Computed tomography of the spine; sagittal view; 512x612 px; image 363 mm wide
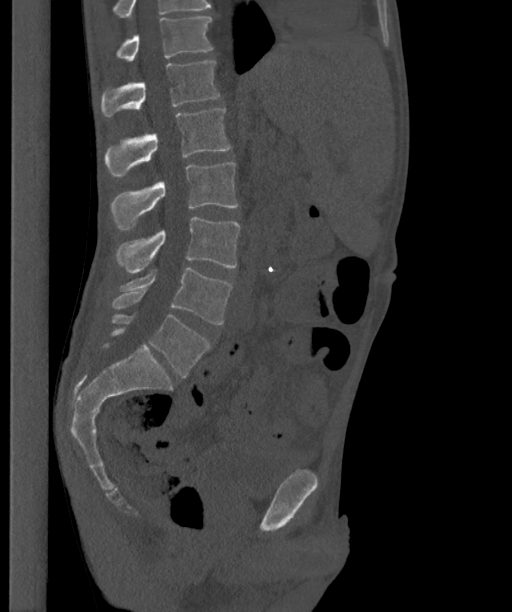
In this scan, the topmost labeled vertebra is T12 and the lowest is L6.
These labels give the spine a sixth lumbar vertebra, L6, below L5.
<vertebrae><v name="L6" x1="110" y1="315" x2="209" y2="377"/><v name="L5" x1="111" y1="268" x2="232" y2="324"/><v name="L4" x1="115" y1="217" x2="240" y2="273"/><v name="L3" x1="111" y1="162" x2="237" y2="230"/><v name="L2" x1="104" y1="108" x2="230" y2="177"/><v name="L1" x1="101" y1="61" x2="219" y2="116"/><v name="T12" x1="114" y1="17" x2="213" y2="61"/></vertebrae>